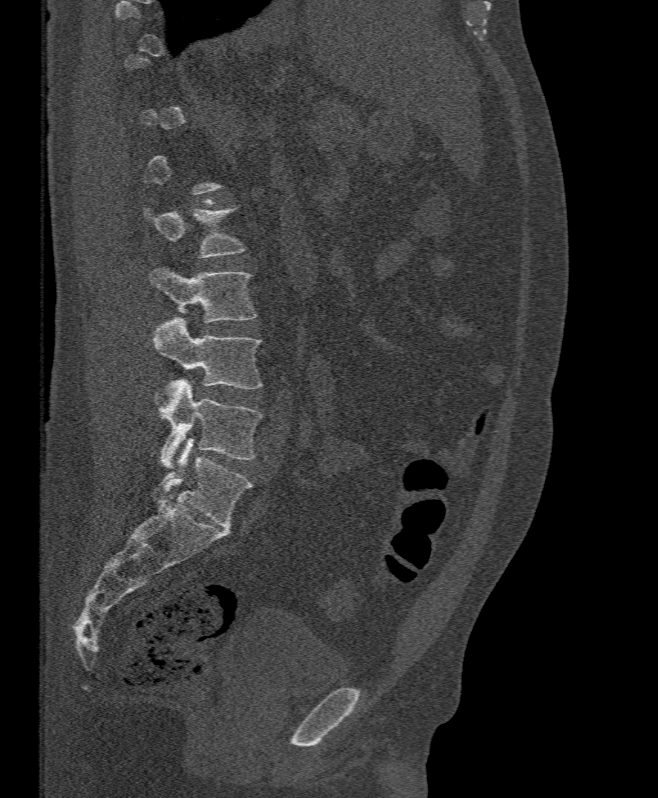 CT spine · sagittal view

Not every vertebra on this slice has a box: a vertebra is boxed only from the first to the last slice where its cross-section is at least a third of its largest, and this slice is outside that range for at least one of them.
<vertebrae><v name="L2" x1="145" y1="207" x2="246" y2="257"/><v name="L3" x1="150" y1="267" x2="257" y2="322"/><v name="L4" x1="152" y1="317" x2="263" y2="404"/><v name="L5" x1="159" y1="380" x2="263" y2="468"/></vertebrae>